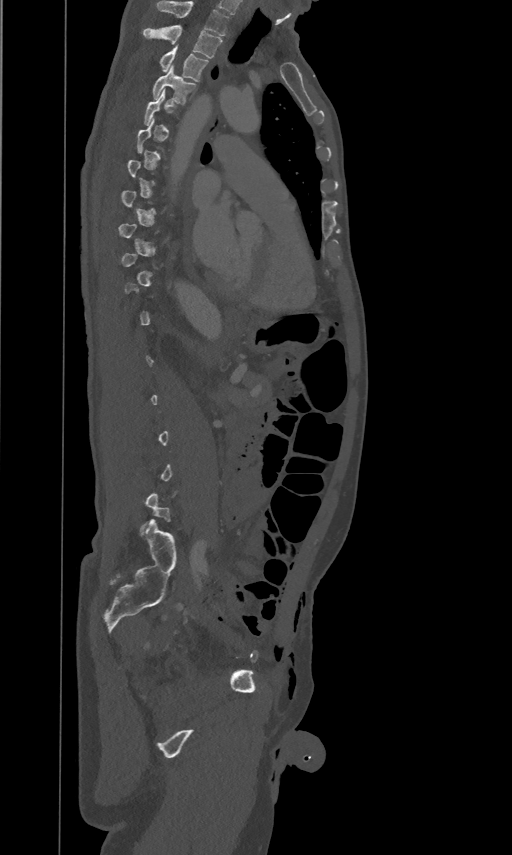

CT; sagittal view
Boxes below are [x1, y1, x2, y2] in pixels.
Not every vertebra on this slice has a box: a vertebra is boxed only from the first to the last slice where its cross-section is at least a third of its largest, and this slice is outside that range for at least one of them.
In this scan, the topmost labeled vertebra is T2 and the lowest is L5.
{"vertebrae":{"T2":[143,25,222,58],"T3":[159,44,207,81],"T4":[153,65,195,104]}}